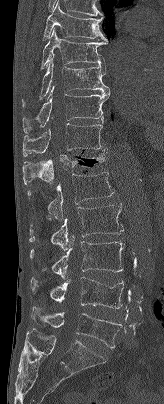

CT. 164 mm across the image. sagittal view
Each box is [x1, y1, x2, y2] in pixels: top-left corner, then bottom-right corner.
{"vertebrae":{"T7":[43,1,107,40],"T8":[41,28,107,68],"T9":[22,55,109,107],"T10":[22,85,110,132],"T11":[22,123,106,156],"T12":[22,148,106,184],"L1":[27,172,114,220],"L2":[29,203,123,251],"L3":[30,238,124,278],"L4":[30,277,123,308],"L5":[31,306,122,348]}}